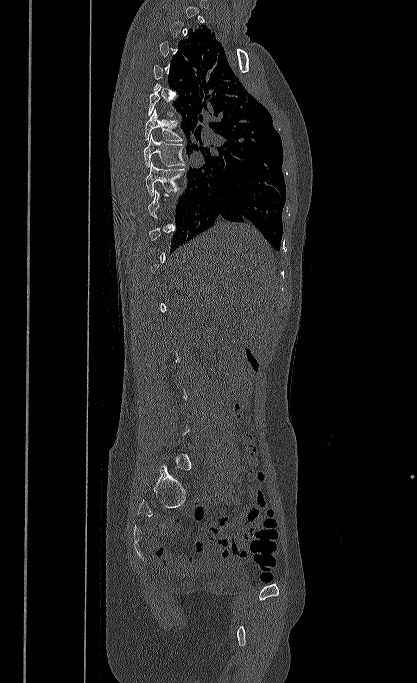

Spine CT · 417 mm image width · sagittal view · bone-window reconstruction · 417x683 px

Each row gives a vertebra's box as x1, y1, x2, y2 in pixels: top-left corner, then bottom-right corner.
A vertebra gets a box only on the slices from the first to the last where its cross-section is at least a third of its largest; on a slice outside that range it gets none.
| vertebra | x1 | y1 | x2 | y2 |
|---|---|---|---|---|
| T6 | 144 | 109 | 183 | 141 |
| T7 | 143 | 134 | 185 | 169 |
| T8 | 145 | 162 | 184 | 197 |